Spine computed tomography; Sagittal slice 262/512; bone-window reconstruction; 512x855 px; 16 vertebrae labeled in this scan
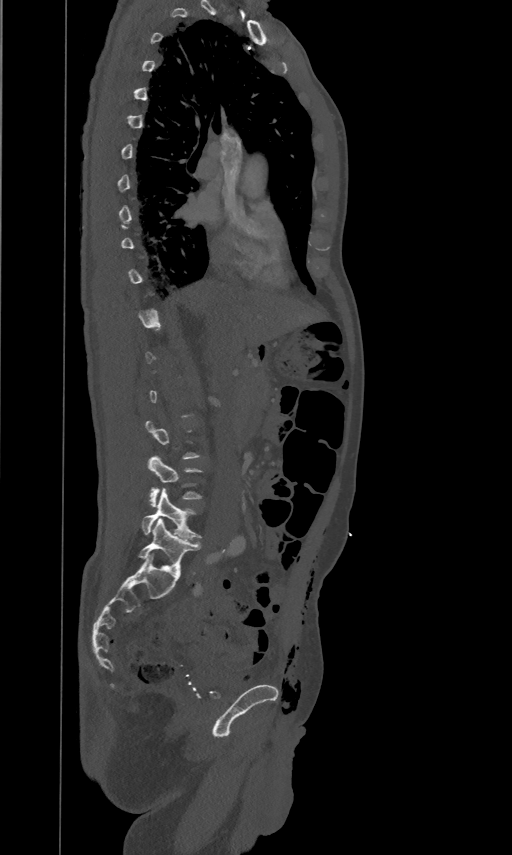
Box edges are left/top/right/bottom in pixels.
Not every vertebra on this slice has a box: a vertebra is boxed only from the first to the last slice where its cross-section is at least a third of its largest, and this slice is outside that range for at least one of them.
Vertebra bounding boxes:
- L4: left=148, top=456, right=201, bottom=506
- L5: left=142, top=488, right=200, bottom=540